Spine computed tomography — sagittal reformat — 345 mm across the image — bone window
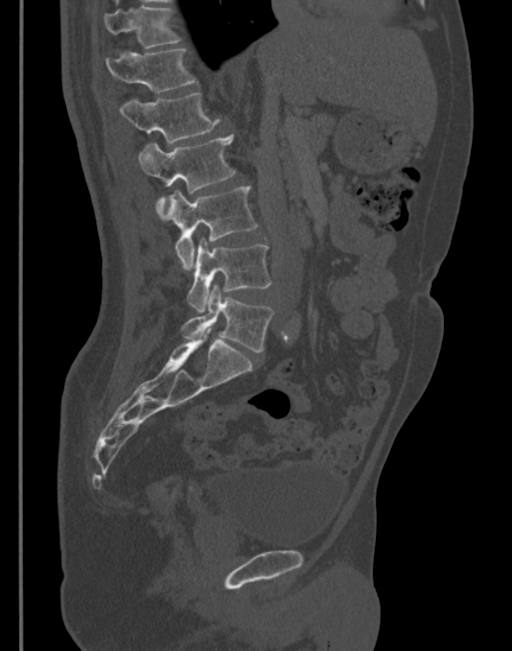
Box values are [left, top, right, bottom] in pixels.
{"vertebrae":{"L5":[181,284,273,352],"L4":[187,239,272,311],"L3":[159,186,257,270],"L2":[138,134,235,220],"L1":[118,93,220,144],"T12":[105,49,196,92],"T11":[104,7,180,48]}}